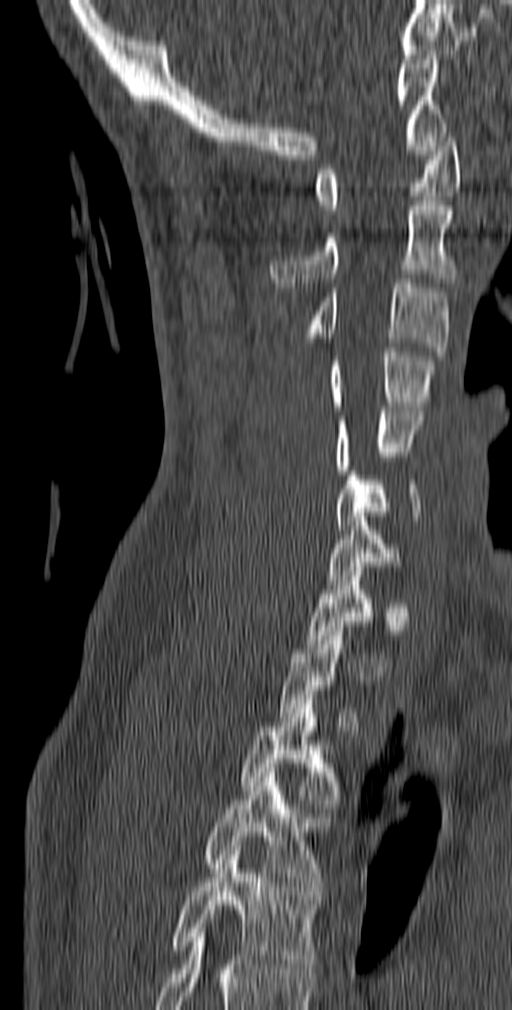
Spine computed tomography; sagittal view; W/L 1800/400 HU. Each box given as x1,y1,x2,y2.
Not every vertebra on this slice has a box: a vertebra is boxed only from the first to the last slice where its cross-section is at least a third of its largest, and this slice is outside that range for at least one of them.
| vertebra | x1 | y1 | x2 | y2 |
|---|---|---|---|---|
| T5 | 170 | 850 | 322 | 973 |
| T4 | 202 | 773 | 330 | 890 |
| T3 | 239 | 695 | 344 | 808 |
| C7 | 327 | 512 | 403 | 584 |
| C6 | 334 | 466 | 420 | 529 |
| C5 | 334 | 407 | 425 | 474 |
| C4 | 327 | 347 | 436 | 410 |
| C3 | 304 | 279 | 450 | 356 |
| C2 | 270 | 201 | 457 | 287 |
| C1 | 315 | 128 | 461 | 214 |